Spine computed tomography — sagittal view — 434 mm wide — Bone window (WL 400, WW 1800)
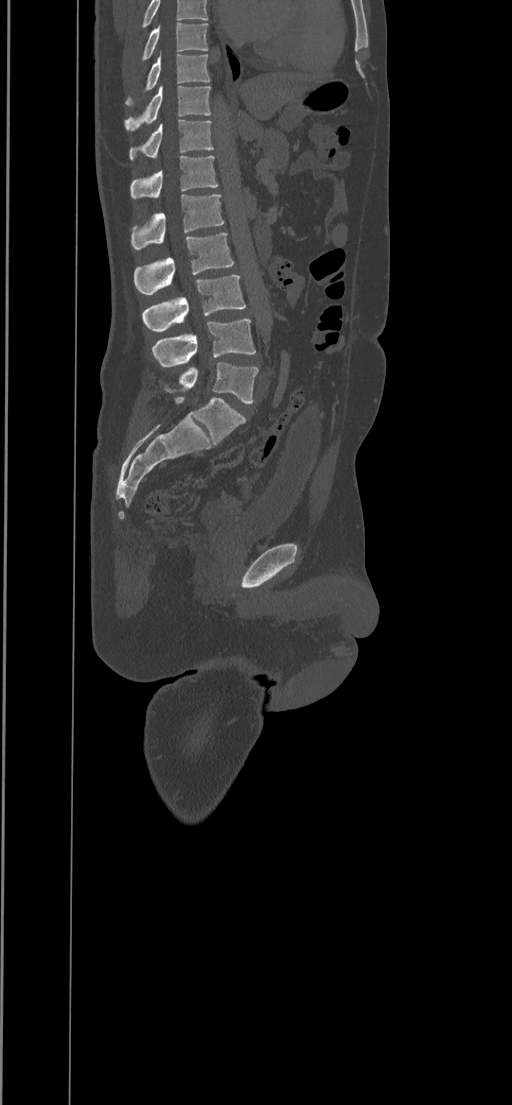
Boxes are given in columns x1, y1, x2, y2, the pixel coordinates of their top-left and bottom-right corners.
In this scan, the topmost labeled vertebra is T8 and the lowest is L5.
| vertebra | x1 | y1 | x2 | y2 |
|---|---|---|---|---|
| T8 | 143 | 22 | 208 | 60 |
| T9 | 125 | 51 | 209 | 105 |
| T10 | 125 | 85 | 210 | 130 |
| T11 | 129 | 119 | 214 | 159 |
| T12 | 130 | 155 | 218 | 199 |
| L1 | 131 | 193 | 224 | 250 |
| L2 | 133 | 233 | 234 | 294 |
| L3 | 143 | 275 | 245 | 331 |
| L4 | 152 | 319 | 255 | 366 |
| L5 | 163 | 362 | 258 | 404 |